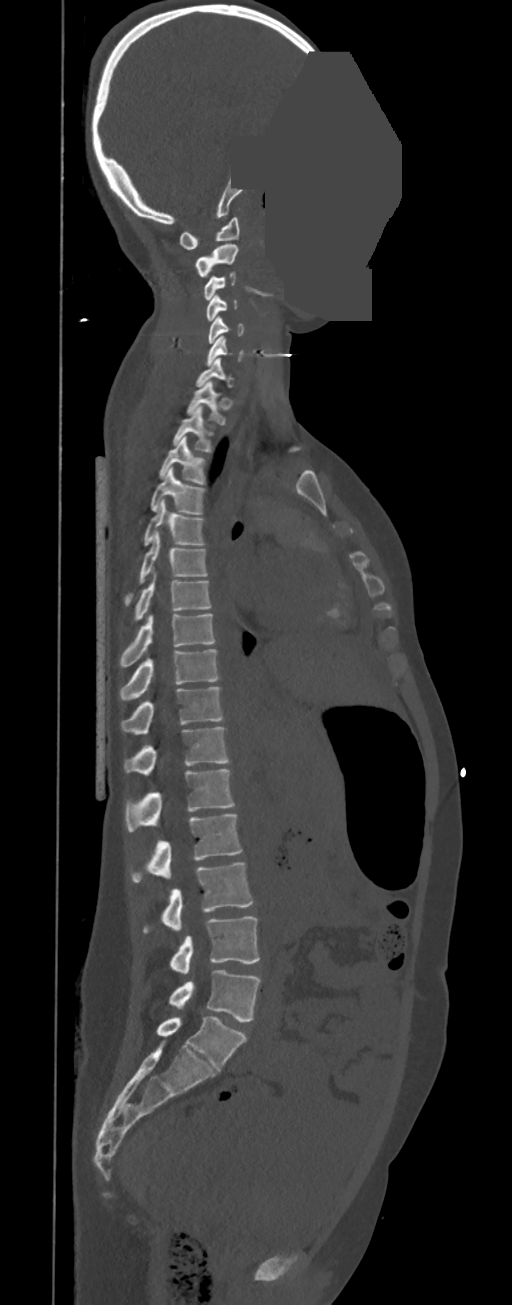

Spine computed tomography — sagittal view — W/L 1800/400 HU — image width 350 mm — a region is masked with a constant gray value
These labels give this spine no T12: after T11 the next vertebra is L1.
<vertebrae><v name="C1" x1="179" y1="217" x2="239" y2="249"/><v name="C2" x1="194" y1="244" x2="238" y2="277"/><v name="C3" x1="203" y1="271" x2="236" y2="300"/><v name="C4" x1="206" y1="295" x2="237" y2="320"/><v name="C5" x1="208" y1="316" x2="243" y2="344"/><v name="C6" x1="206" y1="336" x2="243" y2="366"/><v name="C7" x1="196" y1="358" x2="234" y2="386"/><v name="T1" x1="187" y1="380" x2="226" y2="424"/><v name="T2" x1="172" y1="406" x2="212" y2="452"/><v name="T3" x1="159" y1="436" x2="205" y2="485"/><v name="T4" x1="150" y1="466" x2="205" y2="514"/><v name="T5" x1="143" y1="499" x2="205" y2="545"/><v name="T6" x1="124" y1="532" x2="208" y2="606"/><v name="T7" x1="133" y1="574" x2="211" y2="620"/><v name="T8" x1="120" y1="614" x2="215" y2="668"/><v name="T9" x1="120" y1="649" x2="219" y2="699"/><v name="T10" x1="121" y1="687" x2="223" y2="734"/><v name="T11" x1="124" y1="727" x2="228" y2="776"/><v name="L1" x1="126" y1="769" x2="234" y2="832"/><v name="L2" x1="131" y1="814" x2="242" y2="881"/><v name="L3" x1="143" y1="862" x2="253" y2="932"/><v name="L4" x1="169" y1="916" x2="259" y2="973"/><v name="L5" x1="169" y1="970" x2="261" y2="1022"/></vertebrae>